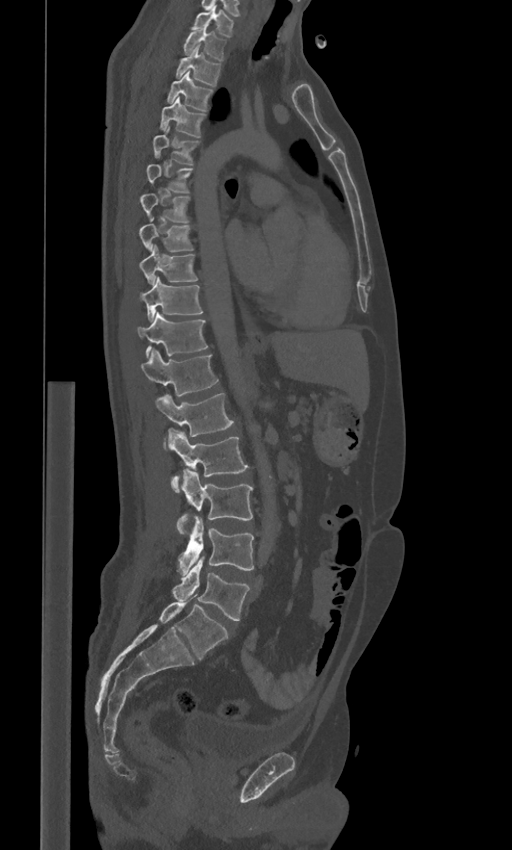

CT spine — sagittal reformat. Boxes are (x1, y1, x2, y2) in pixels.
The labels name a sixth lumbar vertebra for this spine: L6, after L5.
Vertebra bounding boxes:
- L6: (159, 594, 228, 660)
- L5: (172, 559, 250, 620)
- L4: (178, 516, 253, 575)
- L3: (177, 469, 252, 534)
- L2: (166, 428, 247, 492)
- L1: (155, 393, 234, 436)
- T12: (141, 348, 217, 395)
- T11: (137, 312, 207, 356)
- T10: (141, 277, 202, 320)
- T9: (139, 244, 198, 284)
- T8: (139, 218, 193, 252)
- T7: (140, 193, 188, 223)
- T6: (146, 164, 192, 192)
- T5: (152, 129, 198, 164)
- T4: (159, 97, 205, 137)
- T3: (166, 71, 213, 110)
- T2: (176, 45, 220, 86)
- T1: (183, 26, 225, 60)
- C7: (192, 5, 234, 36)